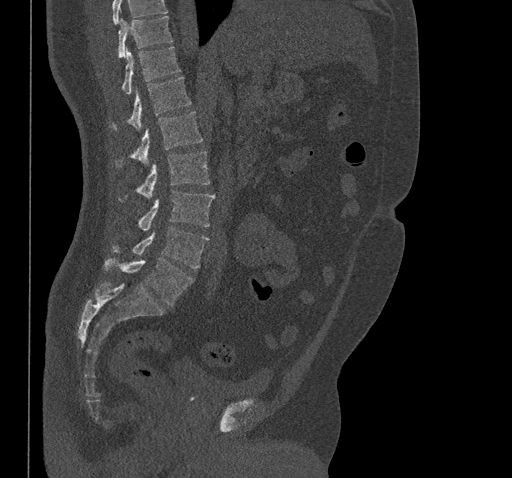 Spine CT. sagittal reformat. 512x478 px
Boxes are (x1, y1, x2, y2) in pixels.
No box is given to a vertebra that the top edge of the scan cuts off.
T10: (118, 16, 172, 57)
T11: (122, 47, 181, 95)
T12: (112, 77, 191, 130)
L1: (116, 111, 202, 166)
L2: (119, 151, 209, 200)
L3: (138, 190, 215, 230)
L4: (112, 227, 208, 268)
L5: (105, 258, 193, 305)